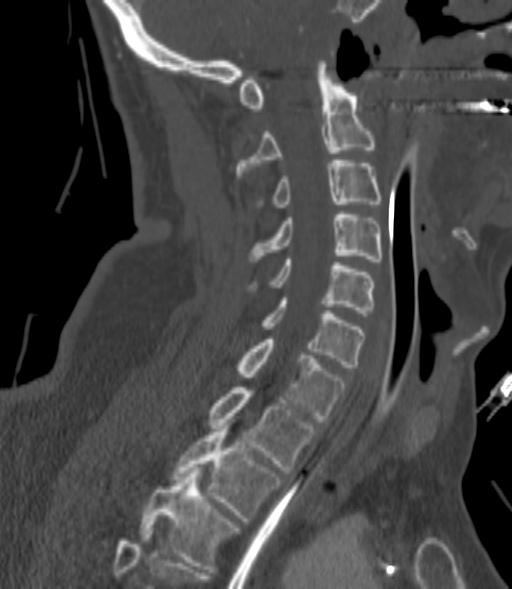
Spine computed tomography — sagittal view — bone window
Each vertebra is boxed only on the slices from the first to the last where its cross-section reaches a third of its largest, so a slice outside that range leaves it unboxed.
<vertebrae><v name="C2" x1="236" y1="64" x2="374" y2="178"/><v name="C3" x1="259" y1="160" x2="381" y2="207"/><v name="C4" x1="249" y1="211" x2="381" y2="261"/><v name="C5" x1="252" y1="259" x2="374" y2="313"/><v name="C6" x1="262" y1="298" x2="363" y2="367"/><v name="C7" x1="236" y1="339" x2="345" y2="421"/><v name="T1" x1="208" y1="387" x2="315" y2="473"/><v name="T2" x1="172" y1="429" x2="281" y2="521"/><v name="T3" x1="139" y1="470" x2="238" y2="569"/></vertebrae>